CT spine · image width 459 mm · sagittal plane, index 31 · 16 vertebrae labeled in this scan
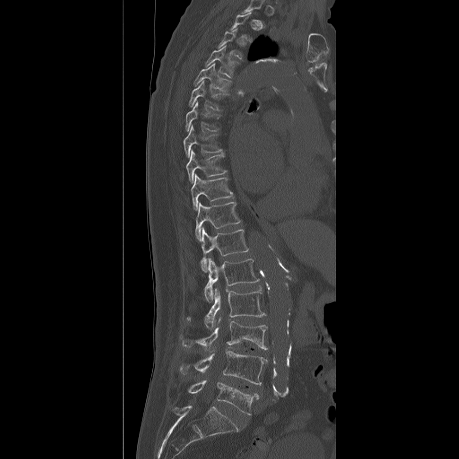 In the table, x1 and y1 are a box's top-left corner and x2 and y2 its bottom-right corner, in pixels.
A vertebra is boxed only from the first to the last slice where its cross-section is at least a third of its largest; slices outside that range leave it without a box.
| vertebra | x1 | y1 | x2 | y2 |
|---|---|---|---|---|
| T4 | 205 | 46 | 238 | 77 |
| T5 | 195 | 63 | 231 | 93 |
| T6 | 189 | 84 | 222 | 110 |
| T7 | 185 | 102 | 219 | 131 |
| T8 | 183 | 126 | 222 | 157 |
| T9 | 186 | 151 | 226 | 183 |
| T10 | 191 | 174 | 232 | 210 |
| T11 | 195 | 202 | 240 | 240 |
| T12 | 200 | 228 | 248 | 271 |
| L1 | 204 | 257 | 259 | 301 |
| L2 | 186 | 287 | 265 | 328 |
| L3 | 180 | 316 | 267 | 352 |
| L4 | 179 | 350 | 266 | 384 |
| L5 | 187 | 381 | 258 | 414 |